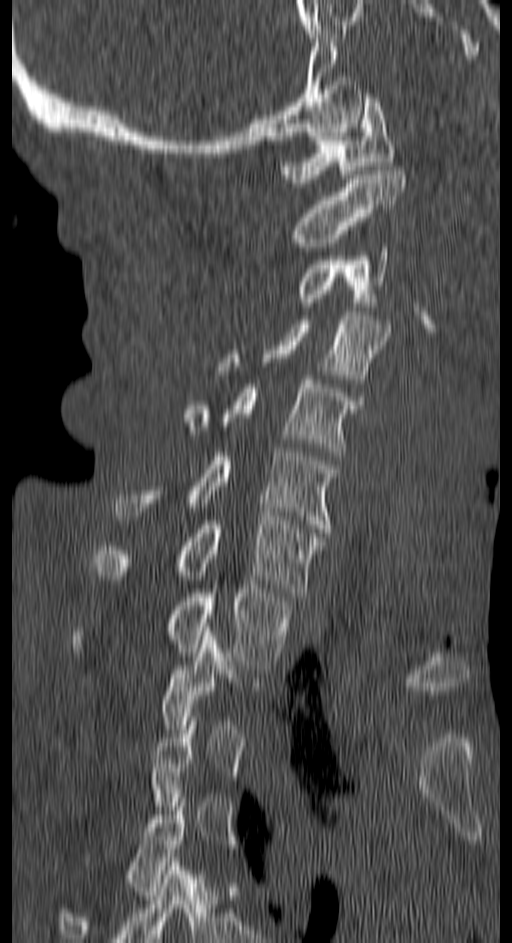 Spine computed tomography. sagittal view. 512x943 px. the image is 150 mm wide
Box edges are left/top/right/bottom in pixels.
Not every vertebra on this slice has a box: a vertebra is boxed only from the first to the last slice where its cross-section is at least a third of its largest, and this slice is outside that range for at least one of them.
C1: left=281, top=98, right=396, bottom=182
C2: left=291, top=166, right=406, bottom=251
C3: left=298, top=247, right=386, bottom=302
C4: left=218, top=311, right=390, bottom=383
C5: left=183, top=375, right=364, bottom=456
C6: left=114, top=448, right=335, bottom=532
C7: left=93, top=516, right=321, bottom=596
T1: left=73, top=585, right=288, bottom=665
T4: left=57, top=798, right=185, bottom=942